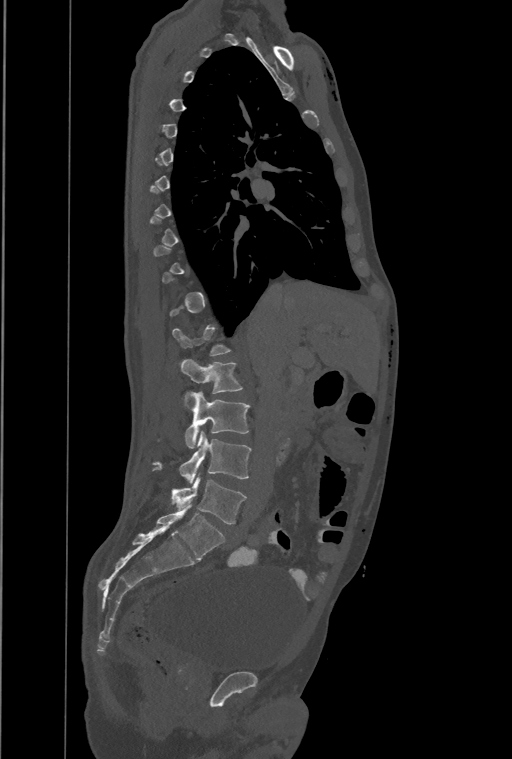
Spine CT · sagittal view · bone-window reconstruction · 512x759 px
Each vertebra is boxed only on the slices from the first to the last where its cross-section reaches a third of its largest, so a slice outside that range leaves it unboxed.
In this scan, the topmost labeled vertebra is T1 and the lowest is L4.
<vertebrae><v name="L1" x1="179" y1="359" x2="242" y2="394"/><v name="L2" x1="185" y1="391" x2="249" y2="448"/><v name="L3" x1="154" y1="431" x2="251" y2="484"/><v name="L4" x1="172" y1="475" x2="245" y2="524"/></vertebrae>